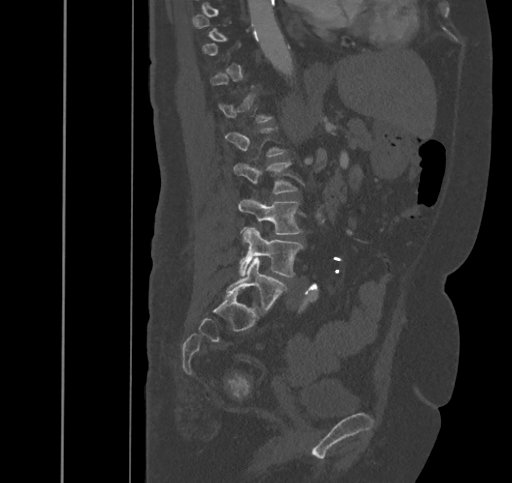
Spine CT; sagittal view
Each vertebra is boxed only on the slices from the first to the last where its cross-section reaches a third of its largest, so a slice outside that range leaves it unboxed.
<vertebrae><v name="L5" x1="226" y1="257" x2="287" y2="315"/><v name="L4" x1="240" y1="227" x2="303" y2="277"/><v name="L3" x1="238" y1="199" x2="302" y2="234"/><v name="L2" x1="233" y1="162" x2="297" y2="194"/></vertebrae>